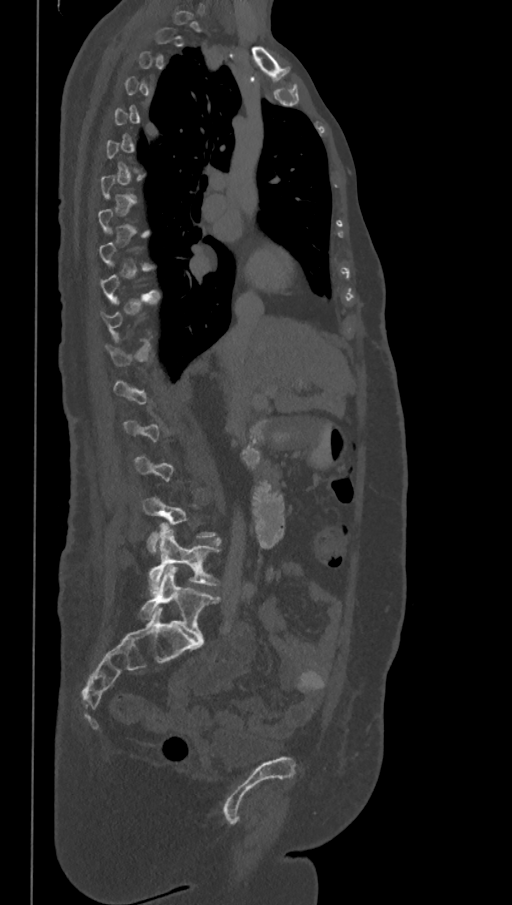
Spine CT · sagittal view

A vertebra gets a box only on the slices from the first to the last where its cross-section is at least a third of its largest; on a slice outside that range it gets none.
These labels give the spine a sixth lumbar vertebra, L6, below L5.
<vertebrae><v name="L4" x1="143" y1="495" x2="219" y2="554"/><v name="L5" x1="149" y1="528" x2="220" y2="590"/><v name="L6" x1="140" y1="566" x2="220" y2="638"/></vertebrae>